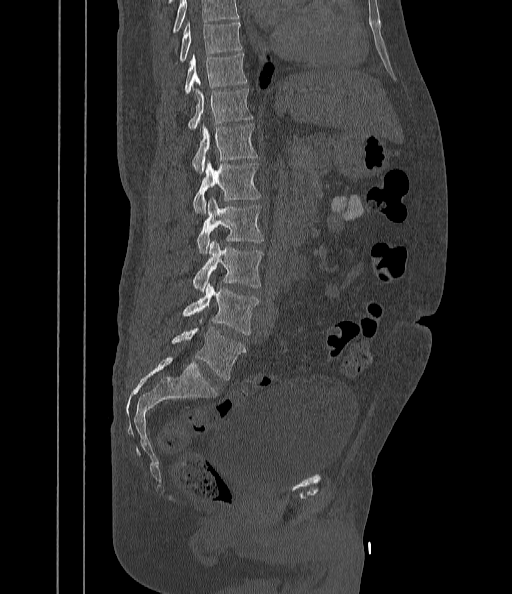
Spine computed tomography; image 442 mm wide; sagittal view

Boxes: x1 y1 x2 y2 (pixel coords, space-separated).
No box is given to a vertebra that the top edge of the scan cuts off.
T9: 178 23 242 62
T10: 184 54 247 95
T11: 188 89 253 129
T12: 192 123 257 173
L1: 193 162 261 213
L2: 197 196 263 254
L3: 192 242 263 293
L4: 183 283 258 334
L5: 171 327 246 380